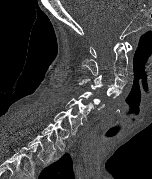 Computed tomography of the spine. sagittal view. image width 152 mm. 152x179 px
Bounding boxes as [x1, y1, x2, y2] in pixel coordinates.
Labels in this scan begin with C1 at the top and end with T2 at the bottom.
T2: [27, 131, 56, 164]
T1: [41, 119, 69, 151]
C7: [54, 107, 83, 134]
C6: [65, 98, 94, 119]
C5: [78, 92, 104, 109]
C4: [78, 82, 121, 98]
C3: [82, 74, 127, 89]
C2: [81, 42, 128, 78]
C1: [90, 41, 132, 57]